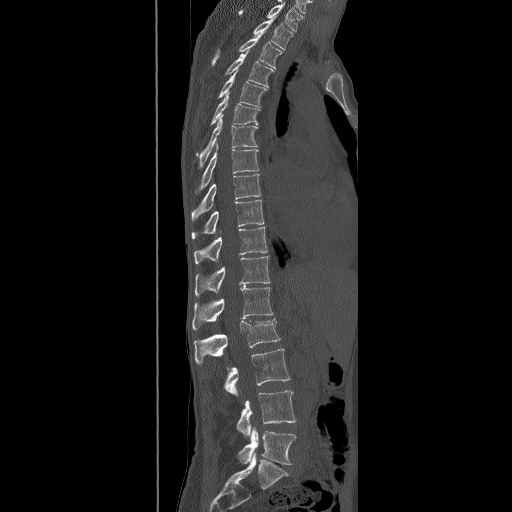 CT spine; the image spans 490 mm across; sagittal view; 512x512 px
Boxes below are [x1, y1, x2, y2] in pixels.
In this scan, the topmost labeled vertebra is T2 and the lowest is L5.
{"vertebrae":{"L5":[237,427,296,465],"L4":[236,389,296,436],"L3":[224,349,290,396],"L2":[194,318,280,364],"L1":[192,287,273,330],"T12":[195,255,270,296],"T11":[194,226,268,264],"T10":[191,199,264,239],"T9":[191,173,260,221],"T8":[196,143,258,193],"T7":[196,114,257,168],"T6":[210,92,260,125],"T5":[218,71,268,108],"T4":[224,50,274,87],"T3":[211,35,282,68],"T2":[253,17,293,50]}}